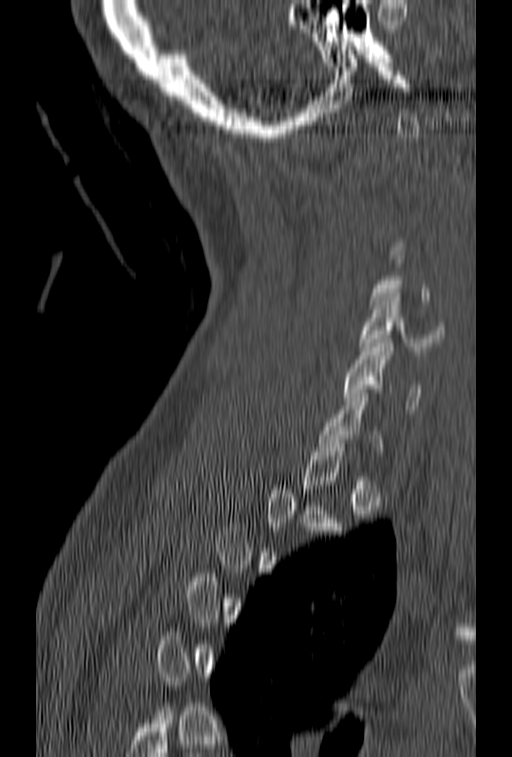 Spine CT — sagittal view

Each box given as x1,y1,x2,y2. Each vertebra is boxed only on the slices from the first to the last where its cross-section reaches a third of its largest, so a slice outside that range leaves it unboxed. Vertebrae labeled: C7 at x1=316, y1=389, x2=382, y2=451, C6 at x1=343, y1=339, x2=422, y2=413, C5 at x1=359, y1=293, x2=444, y2=350.